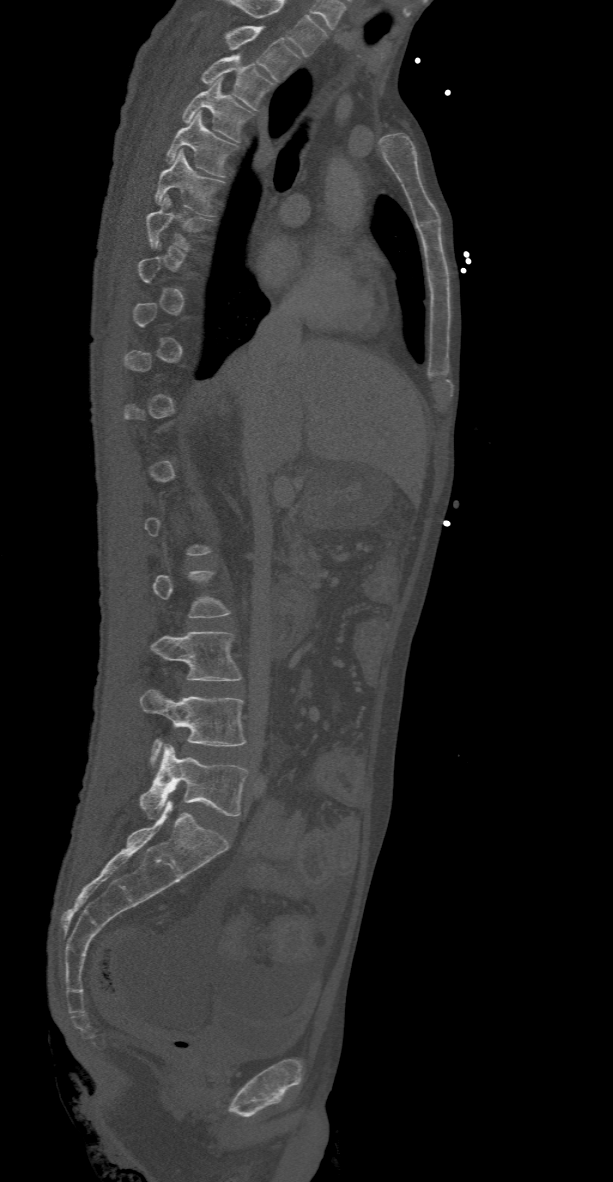 Computed tomography of the spine; sagittal reformat; bone-window reconstruction. Each box given as x1,y1,x2,y2. Not every vertebra on this slice has a box: a vertebra is boxed only from the first to the last slice where its cross-section is at least a third of its largest, and this slice is outside that range for at least one of them. The highest labeled vertebra in this scan is T2; the lowest is L5. Vertebrae labeled: T2 at x1=225, y1=26, x2=301, y2=81, T3 at x1=200, y1=54, x2=273, y2=110, T4 at x1=181, y1=76, x2=252, y2=141, T5 at x1=165, y1=111, x2=235, y2=177, T6 at x1=155, y1=149, x2=224, y2=216, T7 at x1=146, y1=196, x2=207, y2=250, L3 at x1=151, y1=632, x2=242, y2=680, L4 at x1=140, y1=689, x2=246, y2=766, L5 at x1=140, y1=744, x2=247, y2=816.